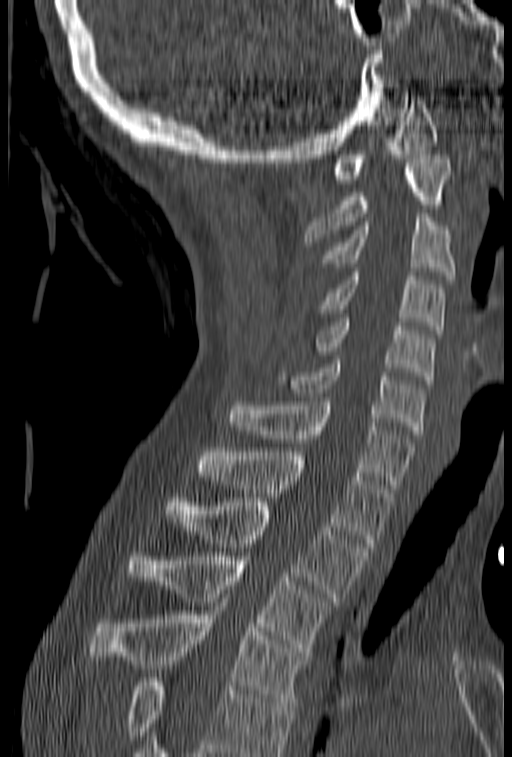

CT, spine — sagittal view — bone window
Vertebrae that run past the bottom of the scan are left unlabeled.
<vertebrae><v name="C1" x1="332" y1="96" x2="437" y2="183"/><v name="C2" x1="305" y1="155" x2="452" y2="246"/><v name="C3" x1="320" y1="213" x2="455" y2="279"/><v name="C4" x1="319" y1="272" x2="445" y2="334"/><v name="C5" x1="312" y1="314" x2="435" y2="380"/><v name="C6" x1="277" y1="360" x2="425" y2="434"/><v name="C7" x1="225" y1="397" x2="415" y2="488"/><v name="T1" x1="198" y1="448" x2="392" y2="547"/><v name="T2" x1="164" y1="502" x2="368" y2="601"/><v name="T3" x1="128" y1="552" x2="335" y2="656"/><v name="T4" x1="88" y1="602" x2="311" y2="706"/></vertebrae>